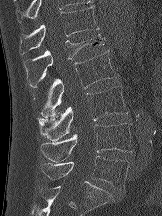
Computed tomography of the spine; sagittal view; Bone window (WL 400, WW 1800)
Bounding boxes as [x1, y1, x2, y2] in pixel coordinates.
Vertebra bounding boxes:
- T12: [19, 6, 98, 54]
- L1: [23, 35, 105, 86]
- L2: [33, 51, 116, 117]
- L3: [37, 86, 128, 141]
- L4: [40, 123, 133, 161]
- L5: [41, 156, 128, 190]